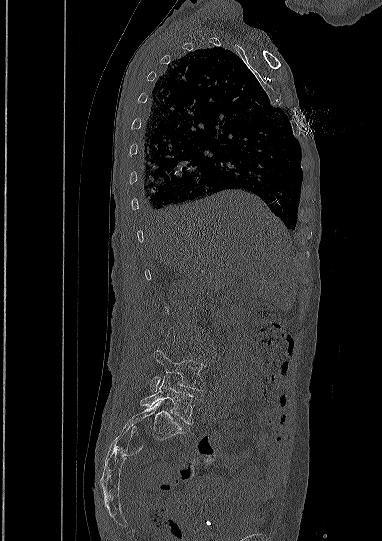
CT, spine · sagittal reformat

Boxes: x1 y1 x2 y2 (pixel coords, space-separated).
Not every vertebra on this slice has a box: a vertebra is boxed only from the first to the last slice where its cross-section is at least a third of its largest, and this slice is outside that range for at least one of them.
Vertebra bounding boxes:
- L5: 141 376 196 423
- L4: 151 350 204 391